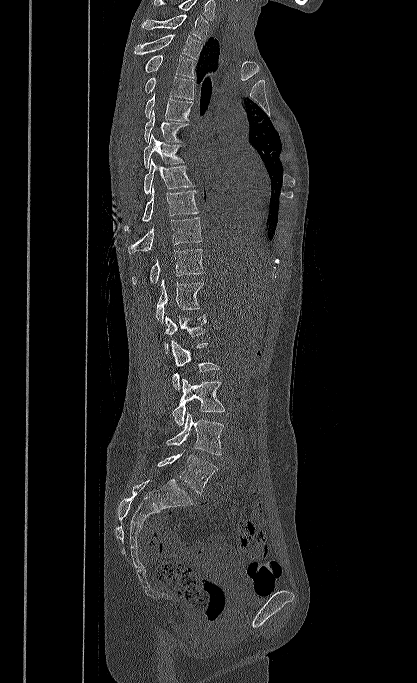
Spine computed tomography; sagittal reformat; bone window; 417x683 px; image width 417 mm

In the table, x1 and y1 are a box's top-left corner and x2 and y2 its bottom-right corner, in pixels.
This scan's labels start at T1 at the top and end at L5 at the bottom.
| vertebra | x1 | y1 | x2 | y2 |
|---|---|---|---|---|
| T1 | 142 | 14 | 208 | 40 |
| T2 | 134 | 34 | 204 | 59 |
| T3 | 144 | 55 | 195 | 78 |
| T4 | 144 | 77 | 194 | 99 |
| T5 | 145 | 93 | 193 | 121 |
| T6 | 144 | 110 | 189 | 142 |
| T7 | 143 | 134 | 185 | 168 |
| T8 | 144 | 159 | 194 | 193 |
| T9 | 124 | 185 | 199 | 232 |
| T10 | 128 | 217 | 202 | 253 |
| T11 | 132 | 248 | 204 | 284 |
| T12 | 155 | 279 | 203 | 323 |
| L1 | 165 | 314 | 206 | 354 |
| L2 | 170 | 340 | 220 | 390 |
| L3 | 172 | 378 | 224 | 425 |
| L4 | 166 | 412 | 224 | 455 |
| L5 | 157 | 454 | 218 | 493 |